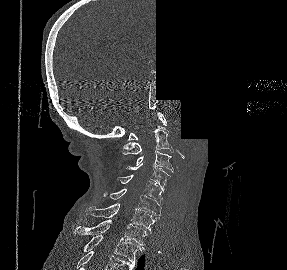
CT, spine; sagittal view; 287 mm across the image; Bone window (WL 400, WW 1800); 287x270 px; part of the scan has been removed (filled with constant black)
Boxes: x1 y1 x2 y2 (pixel coords, space-separated).
Vertebra bounding boxes:
- C1: 128 112 166 140
- C2: 122 126 173 154
- C3: 136 150 173 172
- C4: 126 163 170 189
- C5: 116 175 163 205
- C6: 103 188 161 218
- C7: 84 203 156 231
- T1: 73 220 147 245
- T2: 83 235 144 263